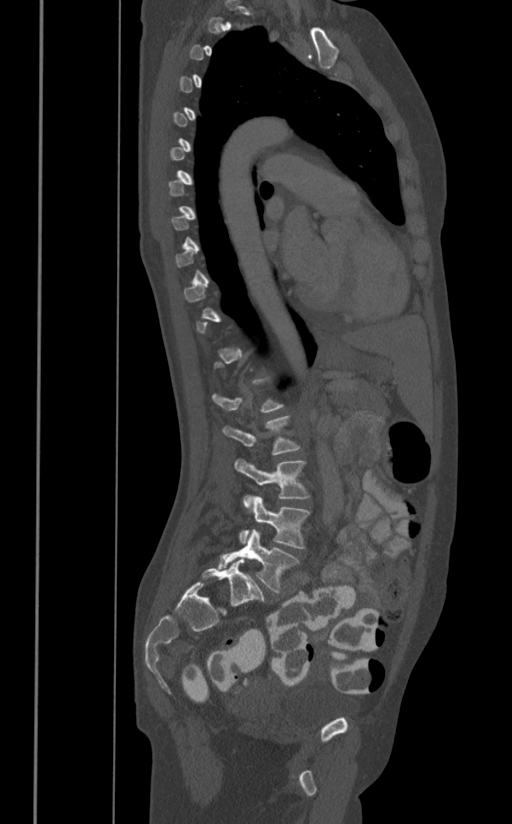

CT spine; 391 mm wide; sagittal reformat; Bone window (WL 400, WW 1800)
Boxes below are [x1, y1, x2, y2] in pixels.
A vertebra is boxed only from the first to the last slice where its cross-section is at least a third of its largest; slices outside that range leave it without a box.
{"vertebrae":{"L2":[222,415,300,455],"L3":[234,458,309,507],"L4":[239,496,309,548],"L5":[218,529,299,592]}}